CT, spine · sagittal reformat · 183x211 px · scan covers 5 annotated vertebrae · 183 mm image width
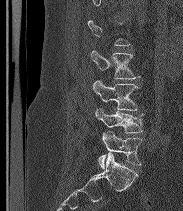

Boxes are given in columns x1, y1, x2, y2, the pixel coordinates of their top-left and bottom-right corners.
A vertebra gets a box only on the slices from the first to the last where its cross-section is at least a third of its largest; on a slice outside that range it gets none.
These labels give the spine a sixth lumbar vertebra, L6, below L5.
| vertebra | x1 | y1 | x2 | y2 |
|---|---|---|---|---|
| L3 | 90 | 50 | 139 | 79 |
| L4 | 92 | 80 | 138 | 110 |
| L5 | 95 | 108 | 144 | 133 |
| L6 | 98 | 131 | 142 | 168 |